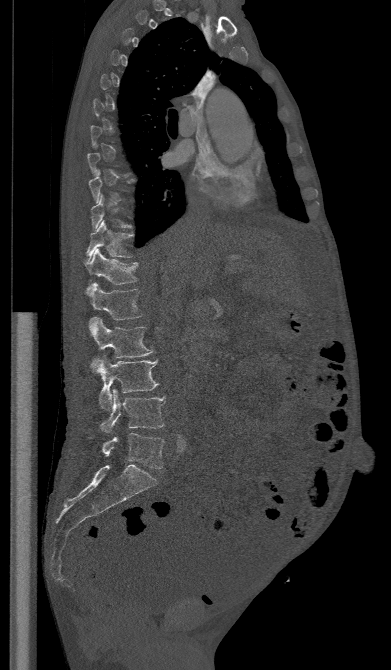
Spine CT · sagittal view · W/L 1800/400 HU
Each box given as x1,y1,x2,y2.
A vertebra gets a box only on the slices from the first to the last where its cross-section is at least a third of its largest; on a slice outside that range it gets none.
Vertebra bounding boxes:
- L5: x1=102, y1=433, x2=164, y2=468
- L4: x1=101, y1=389, x2=165, y2=433
- L3: x1=91, y1=355, x2=157, y2=410
- L2: x1=89, y1=317, x2=152, y2=357
- L1: x1=85, y1=283, x2=142, y2=320
- T12: x1=84, y1=249, x2=138, y2=284
- T11: x1=85, y1=221, x2=132, y2=262